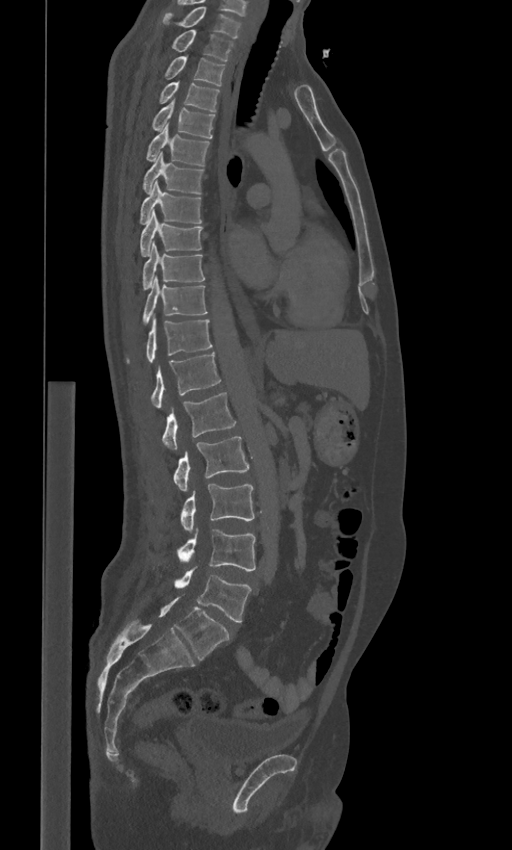
CT, spine; 443 mm image width; sagittal reformat; W/L 1800/400 HU; 512x850 px
Box edges are left/top/right/bottom in pixels.
The labels name a sixth lumbar vertebra for this spine: L6, after L5.
| vertebra | x1 | y1 | x2 | y2 |
|---|---|---|---|---|
| C7 | 162 | 6 | 240 | 37 |
| T1 | 171 | 29 | 234 | 60 |
| T2 | 164 | 56 | 224 | 86 |
| T3 | 158 | 81 | 220 | 111 |
| T4 | 151 | 100 | 214 | 138 |
| T5 | 146 | 124 | 209 | 165 |
| T6 | 143 | 152 | 203 | 194 |
| T7 | 140 | 181 | 201 | 224 |
| T8 | 140 | 211 | 202 | 256 |
| T9 | 142 | 242 | 205 | 289 |
| T10 | 142 | 278 | 207 | 325 |
| T11 | 127 | 318 | 213 | 362 |
| T12 | 150 | 352 | 221 | 409 |
| L1 | 162 | 392 | 236 | 450 |
| L2 | 173 | 436 | 249 | 491 |
| L3 | 180 | 484 | 254 | 533 |
| L4 | 177 | 528 | 255 | 570 |
| L5 | 174 | 567 | 251 | 622 |
| L6 | 158 | 597 | 229 | 660 |